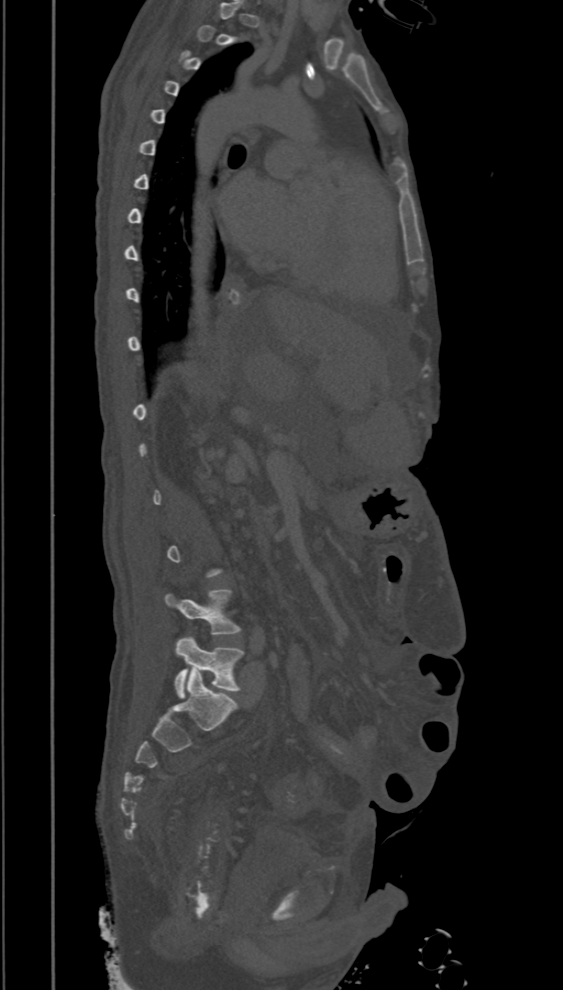

Computed tomography of the spine · sagittal view · Bone window (WL 400, WW 1800). Coordinates as <box>x1,y1,x2,y2</box>.
A vertebra gets a box only on the slices from the first to the last where its cross-section is at least a third of its largest; on a slice outside that range it gets none.
Vertebra bounding boxes:
- L4: <box>165,589,240,635</box>
- L5: <box>174,637,244,698</box>